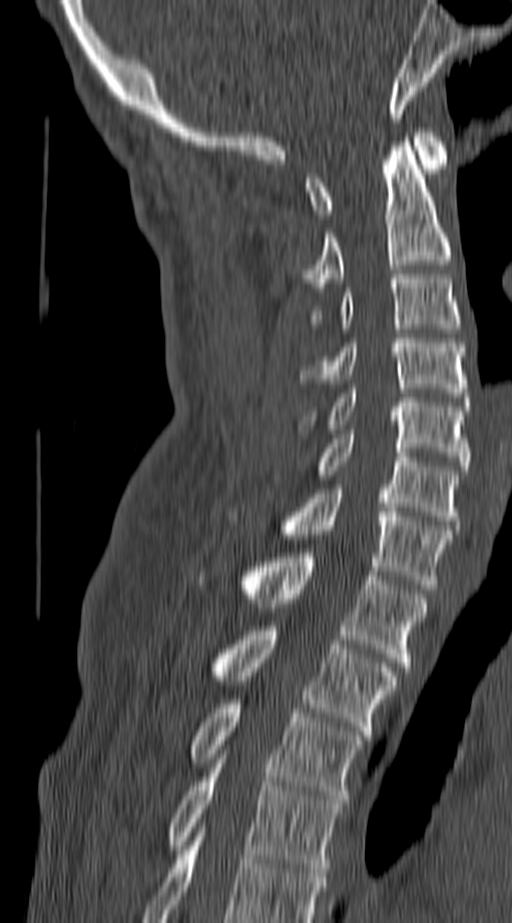

Spine computed tomography — image width 140 mm — sagittal view — Bone window (WL 400, WW 1800)
Each row gives a vertebra's box as x1, y1, x2, y2 in pixels: top-left corner, then bottom-right corner.
Labels in this scan begin with C1 at the top and end with T4 at the bottom.
| vertebra | x1 | y1 | x2 | y2 |
|---|---|---|---|---|
| C1 | 305 | 128 | 447 | 218 |
| C2 | 304 | 142 | 450 | 287 |
| C3 | 312 | 274 | 461 | 328 |
| C4 | 305 | 338 | 465 | 397 |
| C5 | 298 | 389 | 468 | 470 |
| C6 | 272 | 434 | 457 | 525 |
| C7 | 228 | 489 | 450 | 589 |
| T1 | 195 | 553 | 425 | 671 |
| T2 | 206 | 626 | 395 | 735 |
| T3 | 188 | 699 | 362 | 804 |
| T4 | 166 | 763 | 340 | 872 |